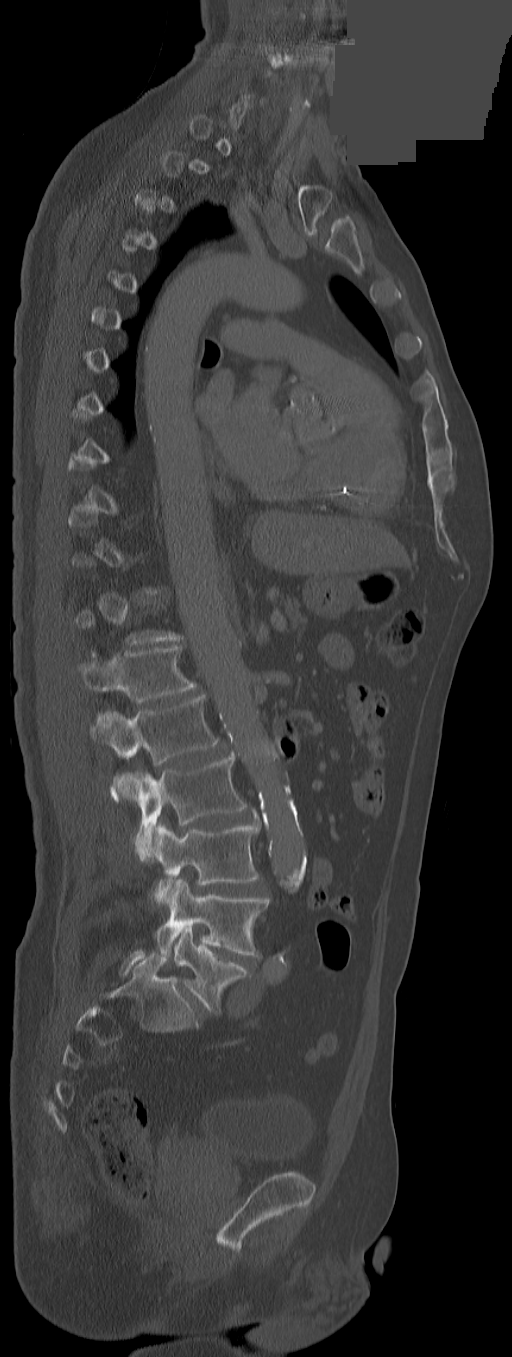

Spine computed tomography; sagittal view; a portion of the image is blanked out (constant pixel value)
A vertebra is boxed only from the first to the last slice where its cross-section is at least a third of its largest; slices outside that range leave it without a box.
The labels name an extra thoracic vertebra here, T13, which comes after T12 and before L1.
<vertebrae><v name="T13" x1="80" y1="646" x2="196" y2="703"/><v name="L1" x1="90" y1="694" x2="218" y2="800"/><v name="L2" x1="111" y1="754" x2="247" y2="862"/><v name="L3" x1="150" y1="822" x2="258" y2="902"/><v name="L4" x1="155" y1="879" x2="269" y2="955"/><v name="L5" x1="174" y1="926" x2="249" y2="1013"/></vertebrae>